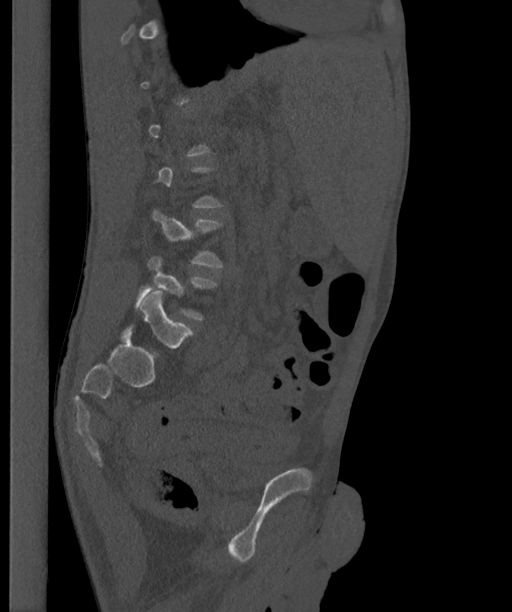

Spine computed tomography. image 363 mm wide. sagittal view. 512x612 px
In the table, x1 and y1 are a box's top-left corner and x2 and y2 its bottom-right corner, in pixels.
A vertebra is boxed only from the first to the last slice where its cross-section is at least a third of its largest; slices outside that range leave it without a box.
These labels give the spine a sixth lumbar vertebra, L6, below L5.
| vertebra | x1 | y1 | x2 | y2 |
|---|---|---|---|---|
| L4 | 152 | 209 | 223 | 267 |
| L5 | 134 | 256 | 216 | 320 |
| L6 | 123 | 291 | 193 | 354 |